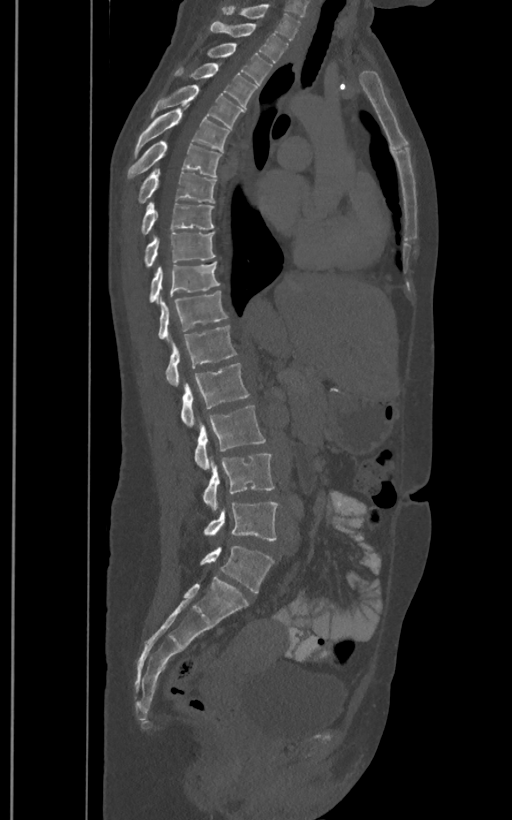

Computed tomography of the spine. 400 mm across the image. sagittal view. 512x820 px
These labels give the spine a sixth lumbar vertebra, L6, below L5.
<vertebrae><v name="T1" x1="223" y1="3" x2="300" y2="39"/><v name="T2" x1="210" y1="22" x2="288" y2="62"/><v name="T3" x1="207" y1="44" x2="271" y2="90"/><v name="T4" x1="175" y1="62" x2="257" y2="107"/><v name="T5" x1="151" y1="84" x2="243" y2="127"/><v name="T6" x1="134" y1="105" x2="229" y2="157"/><v name="T7" x1="127" y1="141" x2="220" y2="180"/><v name="T8" x1="137" y1="166" x2="216" y2="204"/><v name="T9" x1="141" y1="202" x2="214" y2="234"/><v name="T10" x1="143" y1="232" x2="215" y2="267"/><v name="T11" x1="148" y1="262" x2="219" y2="302"/><v name="T12" x1="157" y1="290" x2="228" y2="339"/><v name="L1" x1="165" y1="325" x2="237" y2="385"/><v name="L2" x1="180" y1="363" x2="250" y2="426"/><v name="L3" x1="194" y1="406" x2="265" y2="470"/><v name="L4" x1="202" y1="453" x2="274" y2="509"/><v name="L5" x1="203" y1="501" x2="279" y2="540"/><v name="L6" x1="200" y1="545" x2="274" y2="592"/></vertebrae>